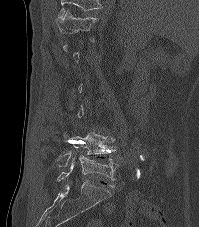
CT spine. 199 mm wide. sagittal view. W/L 1800/400 HU

Boxes: x1:y1:x2:y2 in pixels. A vertebra is boxed only from the first to the last slice where its cross-section is at least a third of its largest; slices outside that range leave it without a box. The highest labeled vertebra in this scan is T12; the lowest is L5. The labeled vertebrae in this slice are: T12 at 58:10:98:41, L4 at 55:131:115:166, L5 at 57:155:118:181.